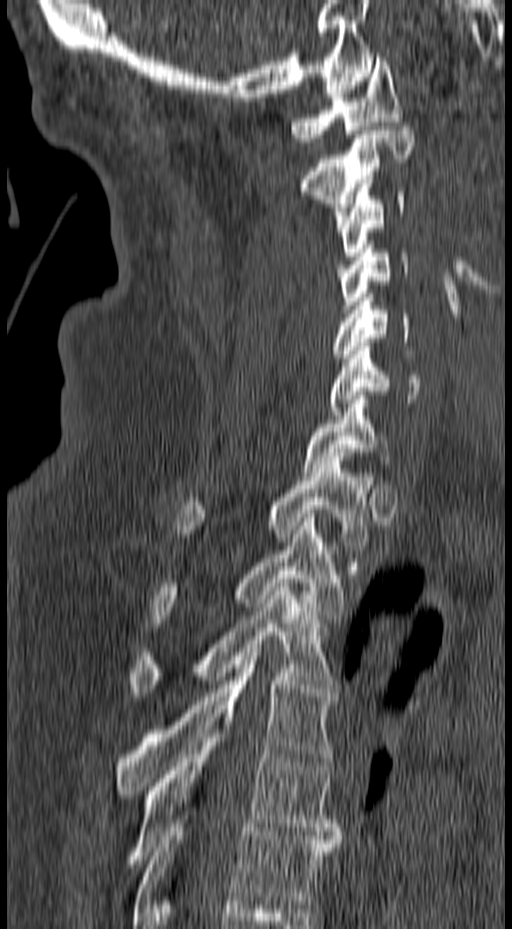 CT, spine — sagittal view
Boxes: x1:y1:x2:y2 in pixels.
C1: 290:57:403:142
C2: 301:126:414:231
C3: 333:188:404:256
C4: 335:245:408:313
C5: 332:294:425:358
C6: 330:338:419:415
C7: 302:391:393:476
T1: 174:457:375:545
T2: 151:514:343:627
T3: 130:579:335:696
T4: 114:648:336:798
T5: 125:726:343:867
T6: 131:819:339:928